CT. Sagittal slice 43/61. bone window. scan covers 7 annotated vertebrae
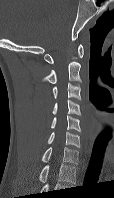 Boxes below are [x1, y1, x2, y2] in pixels.
In this scan, the topmost labeled vertebra is C1 and the lowest is C7.
{"vertebrae":{"C1":[44,44,83,63],"C2":[43,61,81,83],"C3":[52,83,81,100],"C4":[52,99,81,115],"C5":[50,115,81,131],"C6":[47,131,80,147],"C7":[41,147,78,164]}}